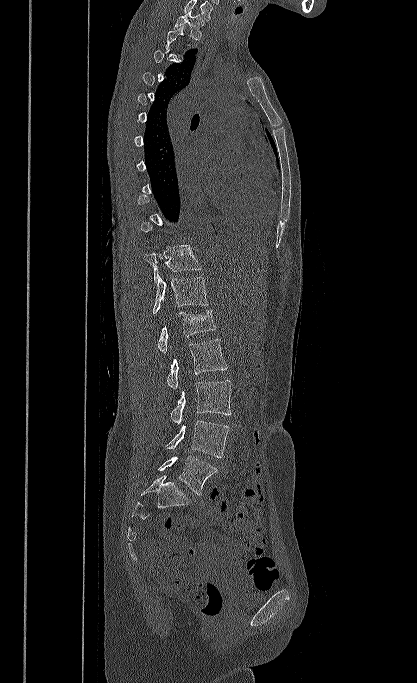
CT, spine — sagittal view — bone window — 417x683 px

Each vertebra maps to its box as [x1, y1, x2, y2], the pixel coordinates of its top-left and bottom-right corners.
Not every vertebra on this slice has a box: a vertebra is boxed only from the first to the last slice where its cross-section is at least a third of its largest, and this slice is outside that range for at least one of them.
In this scan, the topmost labeled vertebra is T1 and the lowest is L5.
{"vertebrae":{"L5":[158,456,217,495],"L4":[166,420,229,457],"L3":[170,380,231,424],"L2":[167,339,227,389],"L1":[157,310,216,353],"T12":[152,275,207,314],"T11":[143,245,201,282],"T1":[174,10,204,40]}}